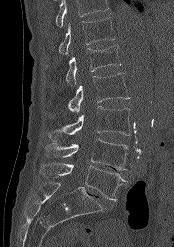 Spine CT; sagittal reformat; bone window
Coordinates as <box>x1,y1,x2,y2</box>.
No box is given to a vertebra that the top edge of the scan cuts off.
Vertebra bounding boxes:
- T12: <box>59,17,115,54</box>
- L1: <box>66,45,121,86</box>
- L2: <box>68,73,129,113</box>
- L3: <box>48,106,130,141</box>
- L4: <box>44,138,127,170</box>
- L5: <box>40,162,126,201</box>